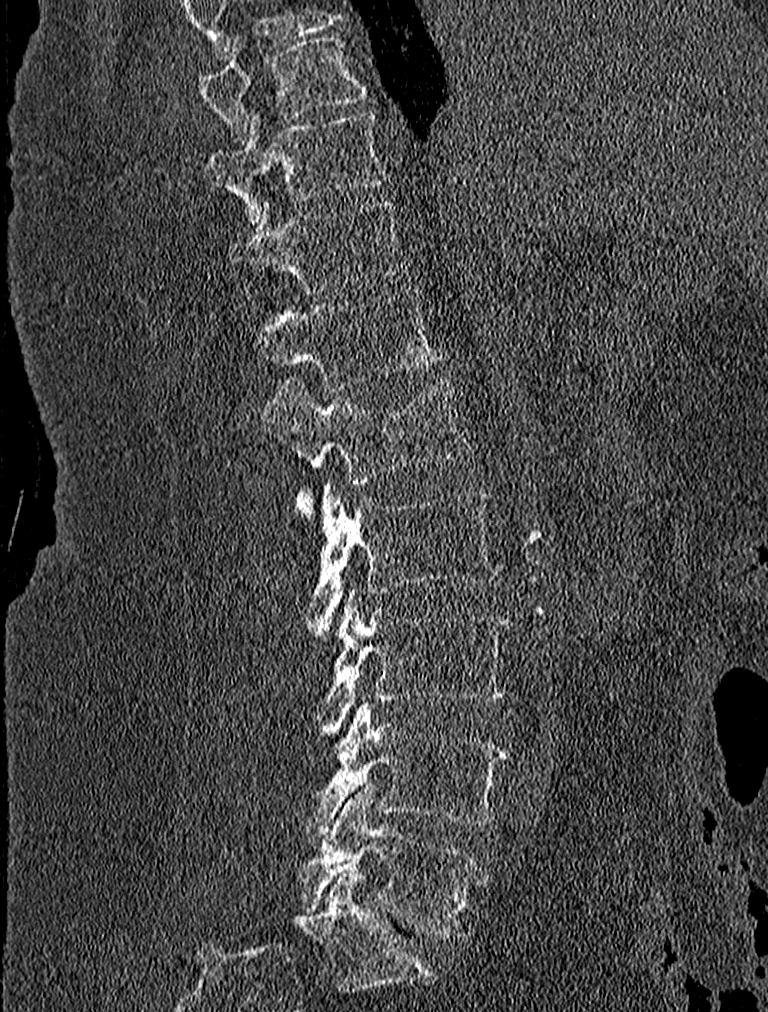

Computed tomography of the spine; sagittal view

Boxes: x1 y1 x2 y2 (pixel coords, space-separated).
Vertebra bounding boxes:
- T9: 195 33 367 142
- T10: 205 111 390 221
- T11: 228 199 407 293
- T12: 253 288 441 392
- L1: 261 379 471 512
- L2: 310 481 499 629
- L3: 320 589 509 728
- L4: 295 699 509 839
- L5: 300 787 485 938